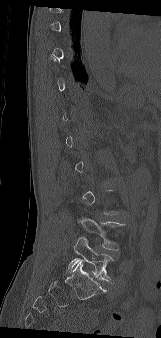

Spine computed tomography · sagittal reformat
Coordinates as <box>x1,y1,x2,y2</box>.
Each vertebra is boxed only on the slices from the first to the last where its cross-section reaches a third of its largest, so a slice outside that range leaves it unboxed.
L4: <box>78,217,125,250</box>
L5: <box>68,237,113,281</box>